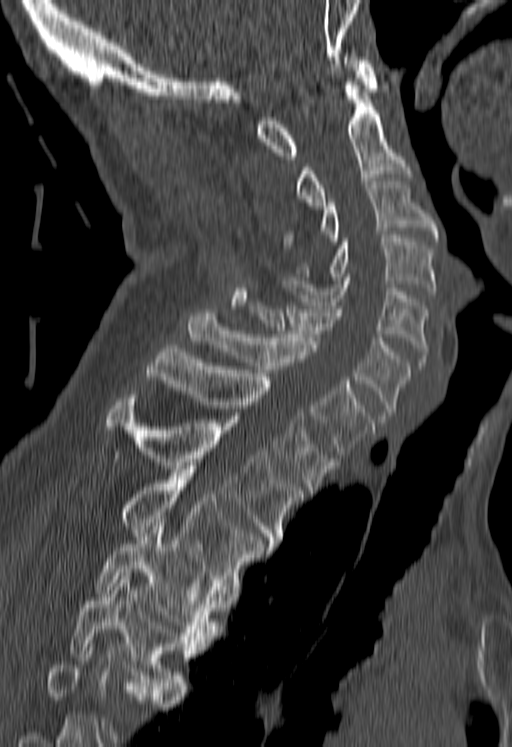 Spine computed tomography; sagittal view
Boxes: x1:y1:x2:y2 in pixels.
No box is given to a vertebra that the bottom edge of the scan cuts off.
Vertebra bounding boxes:
- C1: 257:53:377:159
- C2: 294:78:410:209
- C3: 283:181:438:248
- C4: 294:235:435:294
- C5: 280:277:427:365
- C6: 248:302:410:419
- C7: 189:309:375:454
- T1: 146:345:336:493
- T2: 106:391:301:547
- T3: 123:469:270:582
- T4: 94:523:219:643
- T5: 70:572:196:689